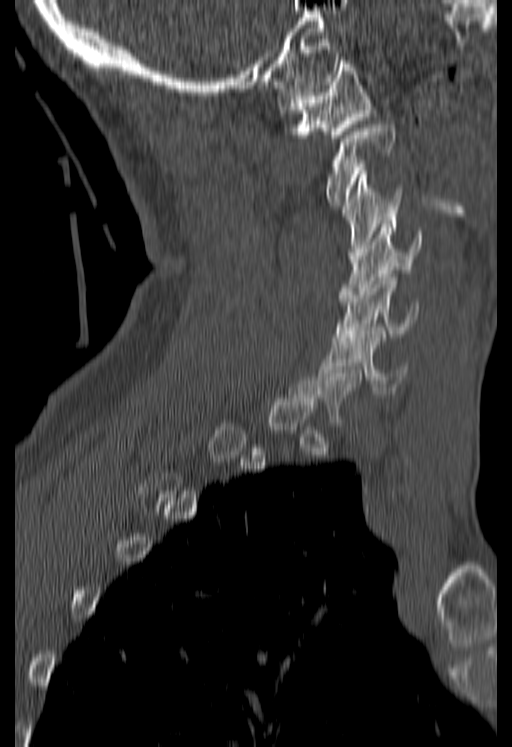
CT — sagittal view — W/L 1800/400 HU

Each box given as x1,y1,x2,y2.
Each vertebra is boxed only on the slices from the first to the last where its cross-section reaches a third of its largest, so a slice outside that range leaves it unboxed.
C1: x1=278, y1=57, x2=373, y2=141
C2: x1=325, y1=124, x2=395, y2=205
C3: x1=342, y1=171, x2=403, y2=259
C4: x1=339, y1=220, x2=421, y2=301
C5: x1=333, y1=274, x2=418, y2=340
C6: x1=320, y1=331, x2=407, y2=394